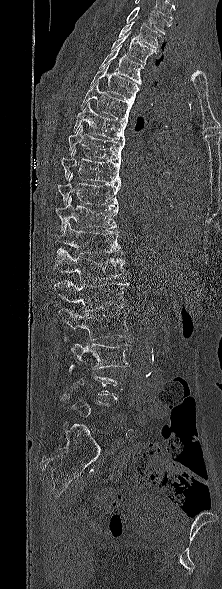

Spine computed tomography · sagittal view · W/L 1800/400 HU · the image is 222 mm wide
A vertebra is boxed only from the first to the last slice where its cross-section is at least a third of its largest; slices outside that range leave it without a box.
In this scan, the topmost labeled vertebra is T1 and the lowest is L5.
<vertebrae><v name="T1" x1="118" y1="21" x2="161" y2="52"/><v name="T2" x1="111" y1="32" x2="155" y2="64"/><v name="T3" x1="99" y1="45" x2="143" y2="84"/><v name="T4" x1="90" y1="64" x2="139" y2="103"/><v name="T5" x1="81" y1="83" x2="133" y2="120"/><v name="T6" x1="73" y1="102" x2="127" y2="141"/><v name="T7" x1="68" y1="125" x2="125" y2="160"/><v name="T8" x1="61" y1="149" x2="120" y2="184"/><v name="T9" x1="57" y1="173" x2="120" y2="207"/><v name="T10" x1="55" y1="196" x2="118" y2="230"/><v name="T11" x1="56" y1="221" x2="123" y2="253"/><v name="T12" x1="54" y1="248" x2="125" y2="281"/><v name="L1" x1="55" y1="280" x2="129" y2="312"/><v name="L2" x1="59" y1="308" x2="129" y2="340"/><v name="L3" x1="64" y1="337" x2="130" y2="368"/></vertebrae>